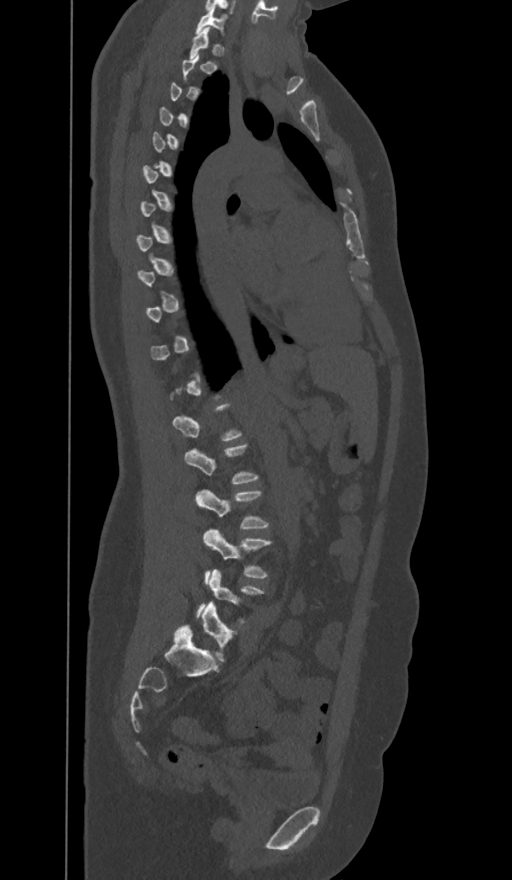 Computed tomography of the spine — sagittal view — 374 mm wide
In the table, x1 and y1 are a box's top-left corner and x2 and y2 its bottom-right corner, in pixels.
A vertebra is boxed only from the first to the last slice where its cross-section is at least a third of its largest; slices outside that range leave it without a box.
The labels name a sixth lumbar vertebra for this spine: L6, after L5.
| vertebra | x1 | y1 | x2 | y2 |
|---|---|---|---|---|
| C7 | 196 | 7 | 227 | 36 |
| L2 | 185 | 444 | 259 | 483 |
| L3 | 196 | 488 | 269 | 529 |
| L4 | 204 | 529 | 273 | 579 |
| L5 | 196 | 569 | 264 | 624 |
| L6 | 185 | 602 | 237 | 663 |